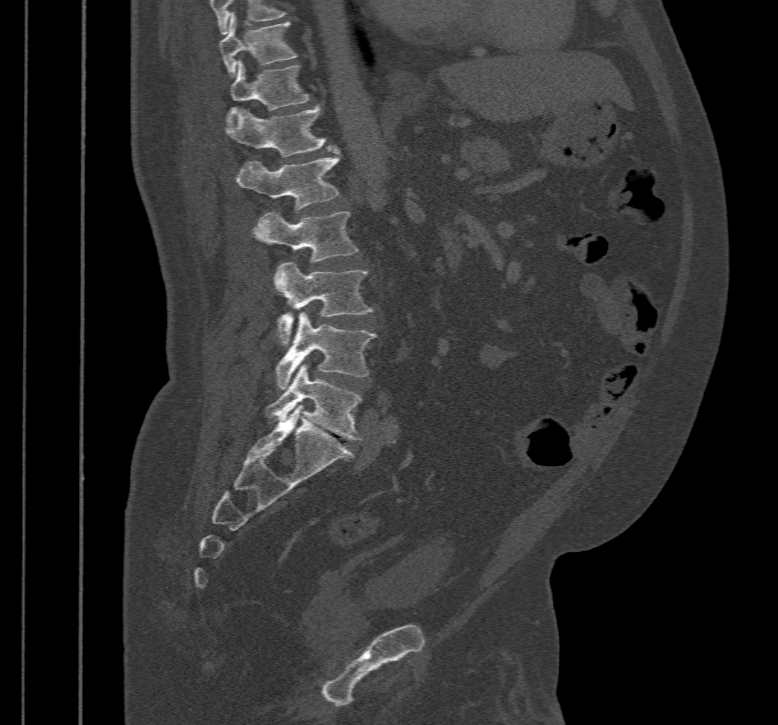 CT, spine; sagittal reformat; Bone window (WL 400, WW 1800)
Each box given as x1,y1,x2,y2.
Vertebra bounding boxes:
- T10: x1=219, y1=12, x2=297, y2=76
- T11: x1=227, y1=59, x2=309, y2=123
- T12: x1=225, y1=105, x2=332, y2=156
- L1: x1=237, y1=150, x2=340, y2=209
- L2: x1=254, y1=210, x2=358, y2=263
- L3: x1=274, y1=262, x2=373, y2=344
- L4: x1=275, y1=312, x2=376, y2=389
- L5: x1=266, y1=364, x2=362, y2=440